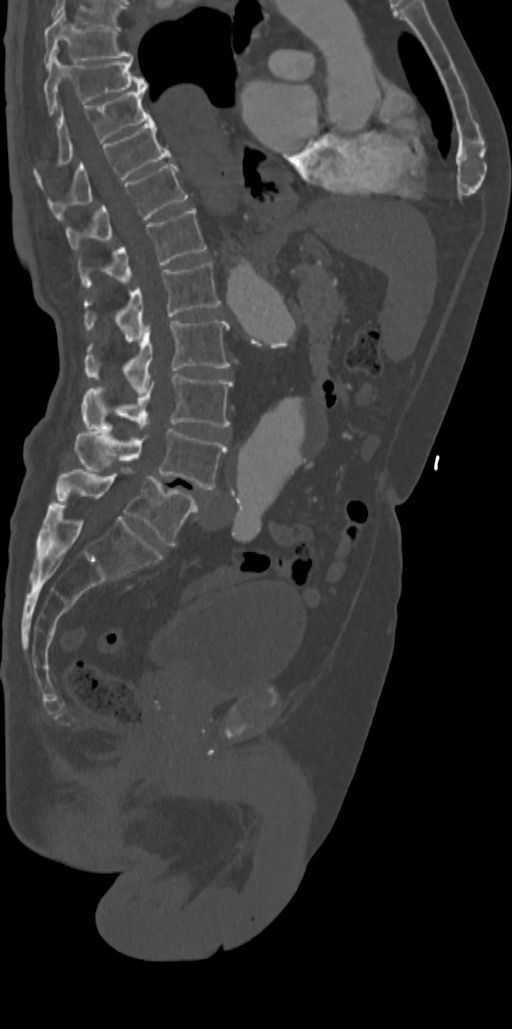 CT, spine; the image is 342 mm wide; sagittal view
Boxes below are [x1, y1, x2, y2] in pixels.
{"vertebrae":{"T7":[43,9,132,66],"T8":[43,54,147,116],"T9":[34,90,149,174],"T10":[48,115,171,219],"T11":[66,164,187,251],"T12":[78,207,205,287],"L1":[84,263,220,340],"L2":[84,319,229,392],"L3":[84,373,232,430],"L4":[75,429,226,489],"L5":[55,470,198,545]}}